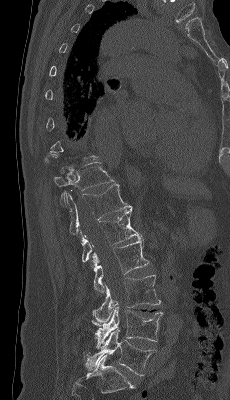 Computed tomography of the spine · sagittal view · 230x400 px
A vertebra is boxed only from the first to the last slice where its cross-section is at least a third of its largest; slices outside that range leave it without a box.
<vertebrae><v name="L5" x1="85" y1="329" x2="156" y2="376"/><v name="L4" x1="92" y1="302" x2="163" y2="349"/><v name="L3" x1="92" y1="275" x2="161" y2="326"/><v name="L2" x1="93" y1="238" x2="149" y2="295"/><v name="L1" x1="81" y1="208" x2="141" y2="261"/><v name="T12" x1="66" y1="183" x2="132" y2="237"/><v name="T11" x1="53" y1="160" x2="115" y2="203"/></vertebrae>